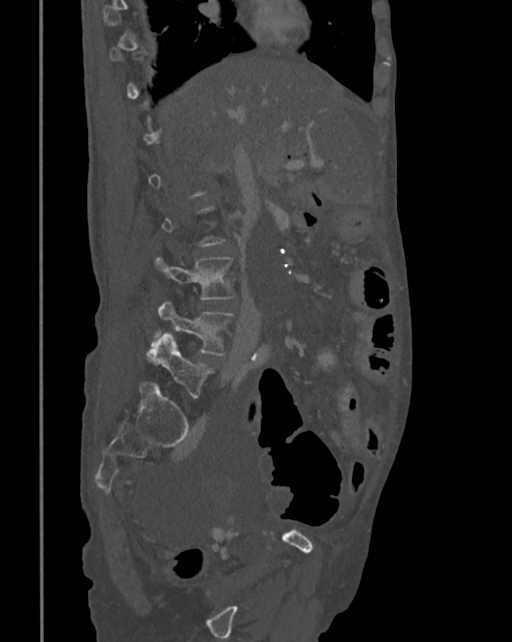

Spine CT — sagittal view — image width 342 mm — W/L 1800/400 HU. Bounding boxes as [x1, y1, x2, y2] in pixel coordinates.
A vertebra is boxed only from the first to the last slice where its cross-section is at least a third of its largest; slices outside that range leave it without a box.
L3: [155, 257, 237, 299]
L4: [145, 300, 235, 362]
L5: [148, 333, 213, 397]